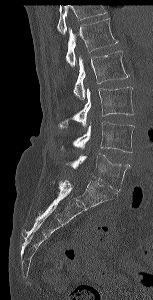

CT spine; sagittal view; bone-window reconstruction; 153x300 px
Each row gives a vertebra's box as x1, y1, x2, y2 in pixels: top-left corner, then bottom-right corner.
Vertebrae that run past the top of the scan are left unlabeled.
| vertebra | x1 | y1 | x2 | y2 |
|---|---|---|---|---|
| L1 | 65 | 18 | 118 | 66 |
| L2 | 73 | 50 | 129 | 99 |
| L3 | 57 | 86 | 134 | 127 |
| L4 | 61 | 122 | 134 | 152 |
| L5 | 66 | 153 | 130 | 191 |